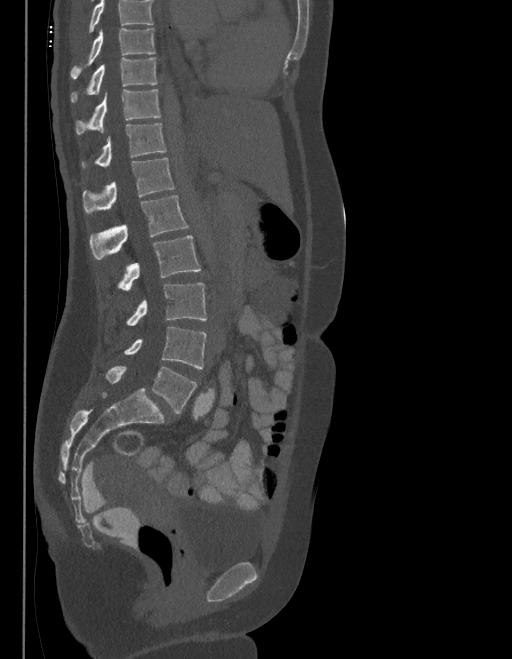 CT, spine — sagittal view — 512x659 px
Box edges are left/top/right/bottom in pixels.
Vertebrae that run past the top of the scan are left unlabeled.
The labels name a sixth lumbar vertebra for this spine: L6, after L5.
| vertebra | x1 | y1 | x2 | y2 |
|---|---|---|---|---|
| T9 | 71 | 29 | 155 | 78 |
| T10 | 71 | 58 | 158 | 103 |
| T11 | 76 | 89 | 160 | 134 |
| T12 | 81 | 123 | 165 | 167 |
| L1 | 82 | 158 | 174 | 213 |
| L2 | 90 | 196 | 188 | 259 |
| L3 | 118 | 236 | 200 | 291 |
| L4 | 127 | 282 | 206 | 326 |
| L5 | 124 | 327 | 206 | 368 |
| L6 | 107 | 367 | 196 | 414 |